Computed tomography of the spine. Sagittal slice 67/145. 146x164 px
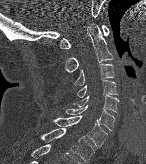 Box edges are left/top/right/bottom in pixels.
C1: left=60, top=25, right=109, bottom=48
C2: left=65, top=24, right=113, bottom=72
C3: left=74, top=63, right=114, bottom=86
C4: left=77, top=79, right=117, bottom=97
C5: left=70, top=94, right=118, bottom=112
C6: left=62, top=105, right=114, bottom=131
C7: left=52, top=116, right=108, bottom=147
T1: left=40, top=128, right=94, bottom=162